CT, spine — Sagittal slice 85/173 — 512x1357 px — 23 vertebrae labeled in this scan — some of the image was removed or blocked out with constant pixels
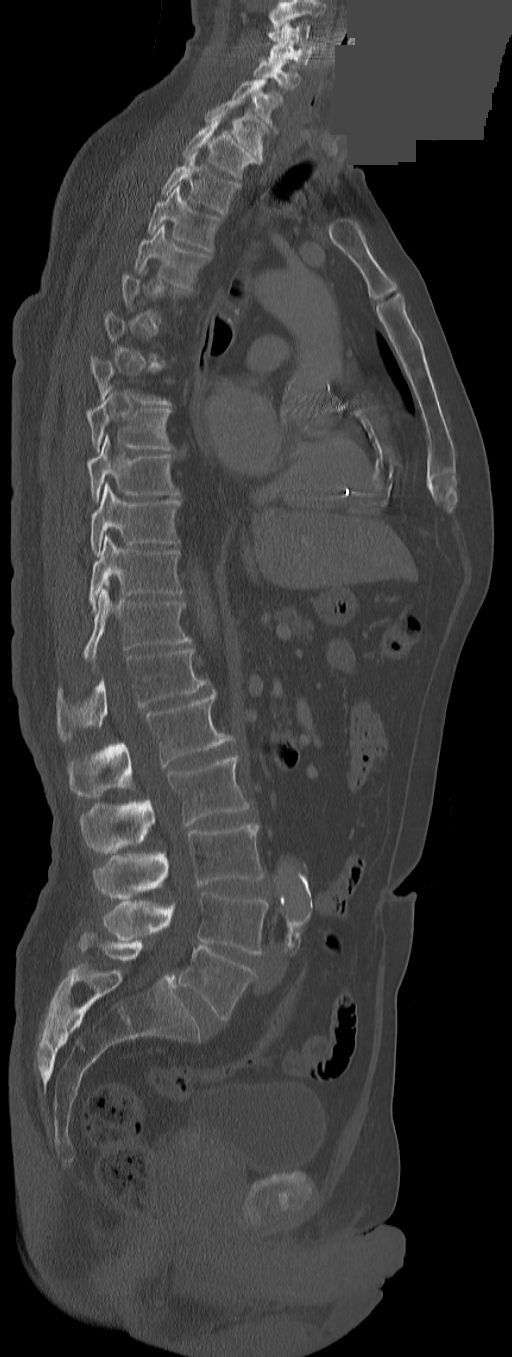 Boxes: x1:y1:x2:y2 in pixels. A vertebra is boxed only from the first to the last slice where its cross-section is at least a third of its largest; slices outside that range leave it without a box. Labels in this scan begin with C3 at the top and end with L5 at the bottom. The labels name an extra thoracic vertebra here, T13, which comes after T12 and before L1. Vertebrae labeled: C3 at 267:22:310:48, C4 at 268:40:310:65, C5 at 254:59:300:94, C6 at 232:78:282:126, C7 at 205:100:268:161, T1 at 183:118:259:177, T2 at 162:150:239:214, T3 at 148:183:219:251, T4 at 134:224:209:286, T8 at 87:390:172:450, T9 at 87:435:179:501, T10 at 90:483:179:555, T11 at 88:535:182:611, T12 at 83:580:191:661, T13 at 57:648:207:740, L1 at 67:689:228:797, L2 at 80:755:249:853, L3 at 94:824:265:899, L4 at 102:891:269:953, L5 at 178:946:256:1020.